CT; sagittal view; Bone window (WL 400, WW 1800); 152x179 px; scan covers 9 annotated vertebrae
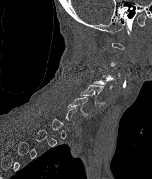

A vertebra gets a box only on the slices from the first to the last where its cross-section is at least a third of its largest; on a slice outside that range it gets none.
<vertebrae><v name="C6" x1="67" y1="97" x2="90" y2="118"/><v name="C5" x1="79" y1="84" x2="105" y2="107"/></vertebrae>